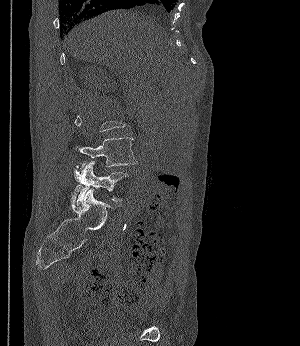

CT spine. sagittal view. bone-window reconstruction. 300x346 px

Box edges are left/top/right/bottom in pixels.
Each vertebra is boxed only on the slices from the first to the last where its cross-section reaches a third of its largest, so a slice outside that range leaves it unboxed.
| vertebra | x1 | y1 | x2 | y2 |
|---|---|---|---|---|
| L4 | 76 | 137 | 137 | 168 |
| L5 | 73 | 161 | 128 | 201 |